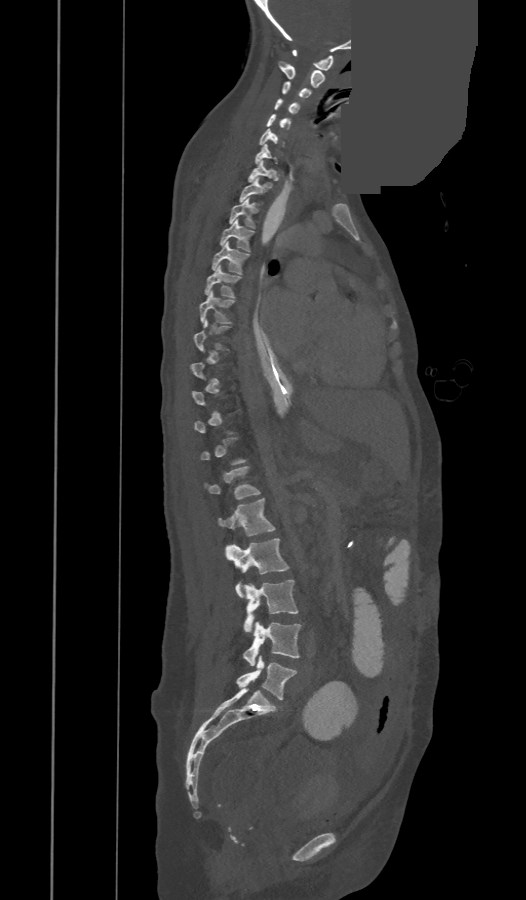

CT spine; 473 mm across the image; sagittal view; W/L 1800/400 HU; 526x900 px; a region is masked with a constant gray value

Not every vertebra on this slice has a box: a vertebra is boxed only from the first to the last slice where its cross-section is at least a third of its largest, and this slice is outside that range for at least one of them.
In these labels the spine has a T13, a thirteenth thoracic vertebra, between T12 and L1.
<vertebrae><v name="C1" x1="292" y1="49" x2="333" y2="70"/><v name="C2" x1="278" y1="61" x2="324" y2="88"/><v name="C3" x1="282" y1="81" x2="311" y2="99"/><v name="C4" x1="274" y1="98" x2="299" y2="115"/><v name="C5" x1="267" y1="113" x2="292" y2="129"/><v name="C6" x1="259" y1="129" x2="283" y2="146"/><v name="C7" x1="255" y1="145" x2="277" y2="164"/><v name="T1" x1="247" y1="160" x2="275" y2="182"/><v name="T2" x1="239" y1="178" x2="267" y2="202"/><v name="T3" x1="229" y1="198" x2="256" y2="228"/><v name="T4" x1="220" y1="219" x2="254" y2="251"/><v name="T5" x1="212" y1="241" x2="249" y2="274"/><v name="T6" x1="204" y1="265" x2="241" y2="298"/><v name="T7" x1="200" y1="290" x2="234" y2="322"/><v name="T8" x1="194" y1="320" x2="230" y2="350"/><v name="T13" x1="204" y1="466" x2="260" y2="499"/><v name="L1" x1="219" y1="498" x2="274" y2="536"/><v name="L2" x1="226" y1="538" x2="288" y2="597"/><v name="L3" x1="243" y1="580" x2="298" y2="632"/><v name="L4" x1="243" y1="622" x2="301" y2="666"/><v name="L5" x1="237" y1="656" x2="297" y2="699"/></vertebrae>